CT — sagittal view — 401 mm image width
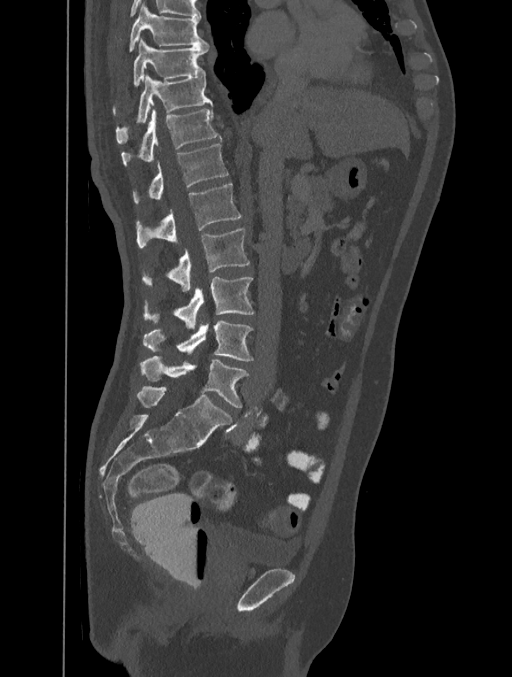

Boxes: x1 y1 x2 y2 (pixel coords, space-separated). The labeled vertebrae in this slice are: T8 at 129 3 208 52, T9 at 133 38 208 86, T10 at 116 74 212 144, T11 at 121 109 221 167, T12 at 133 144 229 204, L1 at 135 183 241 248, L2 at 142 228 249 290, L3 at 143 277 254 329, L4 at 143 321 253 361, L5 at 140 356 249 408.